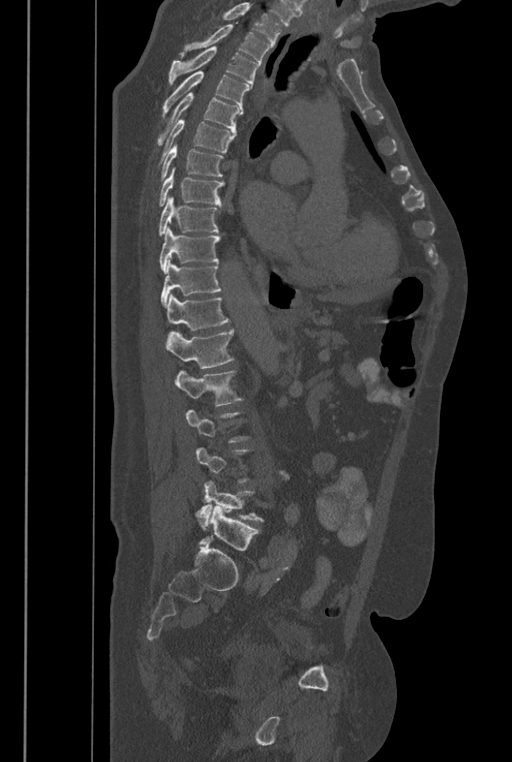

CT; sagittal view; Bone window (WL 400, WW 1800); 512x762 px
Not every vertebra on this slice has a box: a vertebra is boxed only from the first to the last slice where its cross-section is at least a third of its largest, and this slice is outside that range for at least one of them.
Vertebrae that run past the top of the scan are left unlabeled.
In these labels the spine has an L6, a sixth lumbar vertebra below L5.
<vertebrae><v name="T2" x1="179" y1="25" x2="269" y2="63"/><v name="T3" x1="169" y1="46" x2="258" y2="88"/><v name="T4" x1="163" y1="71" x2="250" y2="113"/><v name="T5" x1="156" y1="92" x2="243" y2="145"/><v name="T6" x1="157" y1="119" x2="234" y2="164"/><v name="T7" x1="159" y1="144" x2="223" y2="180"/><v name="T8" x1="159" y1="167" x2="224" y2="206"/><v name="T9" x1="158" y1="197" x2="218" y2="236"/><v name="T10" x1="159" y1="227" x2="219" y2="273"/><v name="T11" x1="161" y1="261" x2="220" y2="307"/><v name="T12" x1="166" y1="293" x2="230" y2="330"/><v name="L1" x1="165" y1="329" x2="233" y2="368"/><v name="L2" x1="175" y1="371" x2="241" y2="406"/><v name="L5" x1="195" y1="471" x2="289" y2="530"/><v name="L6" x1="198" y1="505" x2="258" y2="551"/></vertebrae>